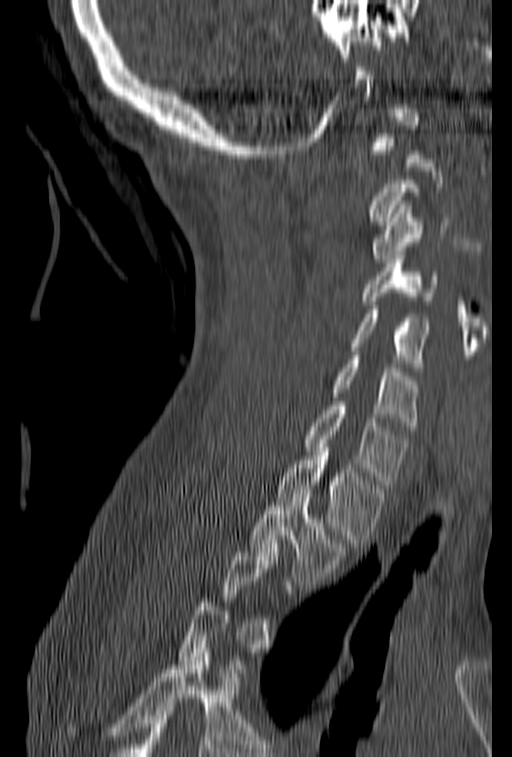
Spine computed tomography; sagittal reformat; bone-window reconstruction

Box edges are left/top/right/bottom in pixels.
A vertebra is boxed only from the first to the last slice where its cross-section is at least a third of its largest; slices outside that range leave it without a box.
| vertebra | x1 | y1 | x2 | y2 |
|---|---|---|---|---|
| T2 | 248 | 489 | 347 | 585 |
| T1 | 278 | 452 | 388 | 547 |
| C7 | 302 | 397 | 408 | 488 |
| C6 | 329 | 351 | 418 | 430 |
| C5 | 348 | 305 | 432 | 371 |
| C4 | 362 | 251 | 439 | 304 |
| C3 | 371 | 201 | 462 | 263 |